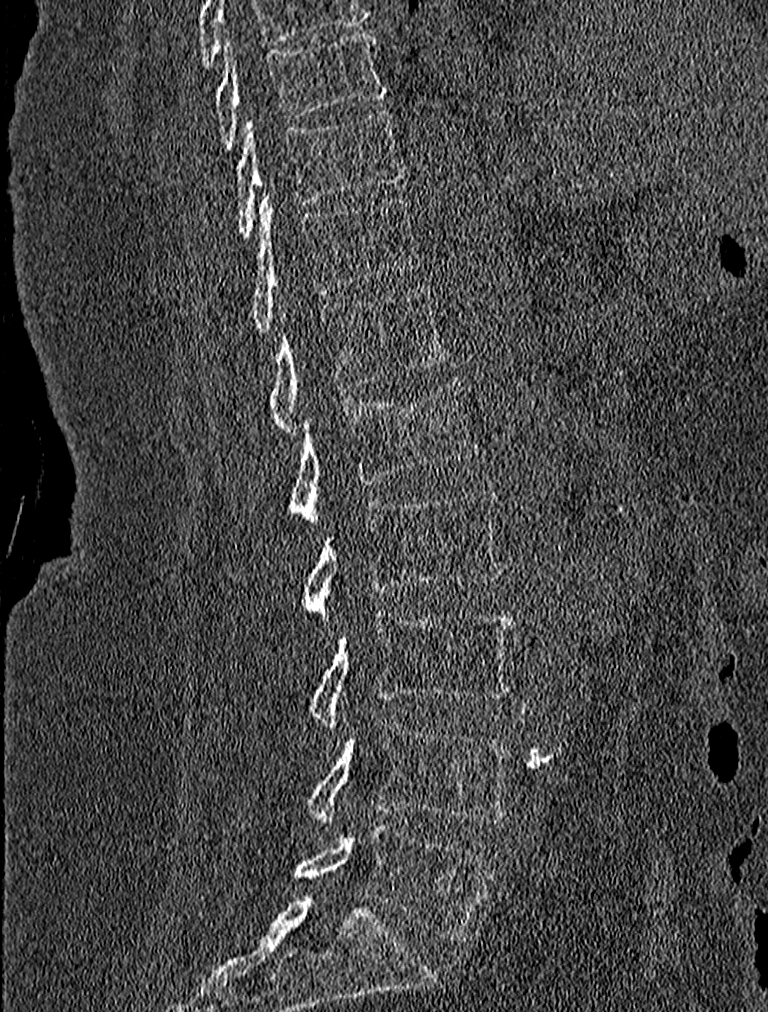
CT, spine; sagittal view; 768x1012 px
Boxes: x1 y1 x2 y2 (pixel coords, space-separated).
Vertebra bounding boxes:
- L5: 293 824 495 941
- L4: 307 719 513 829
- L3: 310 611 515 731
- L2: 303 487 502 617
- L1: 290 376 478 526
- T12: 269 288 448 433
- T11: 249 193 417 332
- T10: 236 111 404 237
- T9: 215 30 387 148